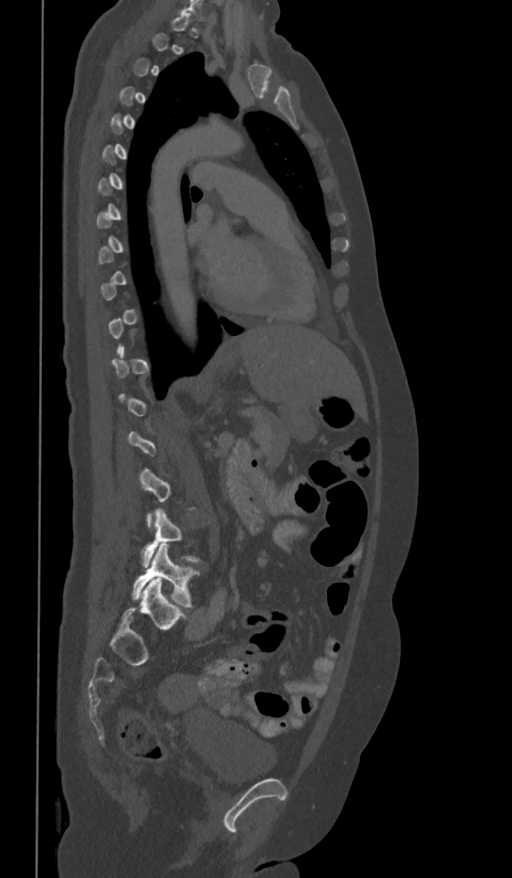
Spine CT · sagittal reformat · bone window · the image spans 361 mm across
Columns x1, y1, x2, y2 give each box's top-left and bottom-right pixels.
A vertebra is boxed only from the first to the last slice where its cross-section is at least a third of its largest; slices outside that range leave it without a box.
| vertebra | x1 | y1 | x2 | y2 |
|---|---|---|---|---|
| L4 | 142 | 509 | 200 | 567 |
| L5 | 132 | 544 | 199 | 607 |